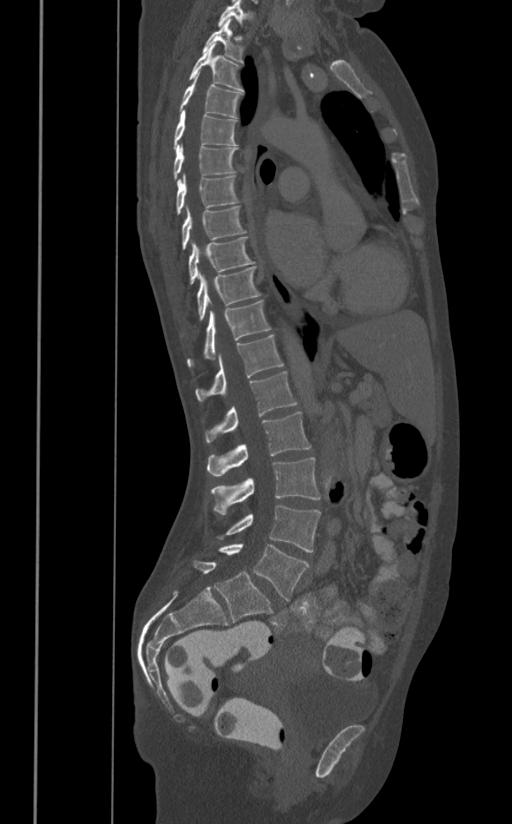
CT; sagittal view; Bone window (WL 400, WW 1800)

Each box given as x1,y1,x2,y2.
L5: x1=219, y1=543, x2=309, y2=600
L4: x1=217, y1=506, x2=320, y2=552
L3: x1=211, y1=457, x2=320, y2=514
L2: x1=207, y1=411, x2=310, y2=476
L1: x1=205, y1=371, x2=297, y2=443
T12: x1=195, y1=334, x2=283, y2=401
T11: x1=187, y1=301, x2=271, y2=367
T10: x1=196, y1=266, x2=261, y2=321
T9: x1=188, y1=236, x2=255, y2=284
T8: x1=181, y1=205, x2=246, y2=249
T7: x1=175, y1=173, x2=238, y2=215
T6: x1=173, y1=144, x2=237, y2=179
T5: x1=173, y1=110, x2=237, y2=150
T4: x1=180, y1=73, x2=242, y2=118
T3: x1=189, y1=44, x2=244, y2=91
T2: x1=203, y1=19, x2=243, y2=64
T1: x1=217, y1=0, x2=247, y2=26